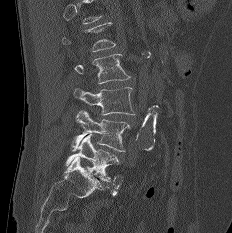
Spine computed tomography; sagittal view

Coordinates as <box>x1,y1,x2,y2</box>.
A vertebra is boxed only from the first to the last slice where its cross-section is at least a third of its largest; slices outside that range leave it without a box.
L2: <box>74,54,130,83</box>
L3: <box>73,87,135,115</box>
L4: <box>70,110,130,152</box>
L5: <box>65,134,119,181</box>